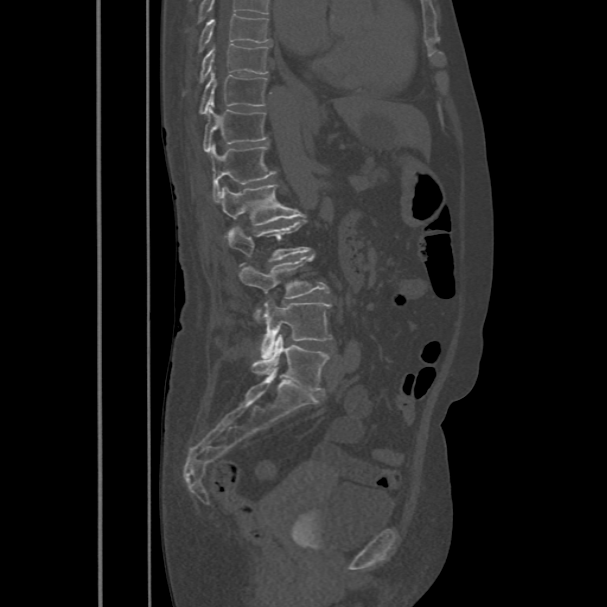

CT spine. sagittal reformat. 486 mm image width
The highest labeled vertebra in this scan is T8; the lowest is L5.
<vertebrae><v name="T8" x1="197" y1="13" x2="271" y2="52"/><v name="T9" x1="183" y1="43" x2="269" y2="94"/><v name="T10" x1="199" y1="73" x2="266" y2="114"/><v name="T11" x1="203" y1="107" x2="266" y2="154"/><v name="T12" x1="211" y1="145" x2="275" y2="201"/><v name="L1" x1="218" y1="185" x2="298" y2="237"/><v name="L2" x1="225" y1="220" x2="310" y2="265"/><v name="L3" x1="238" y1="255" x2="329" y2="321"/><v name="L4" x1="261" y1="298" x2="331" y2="356"/><v name="L5" x1="251" y1="335" x2="329" y2="391"/></vertebrae>